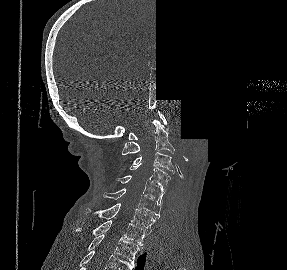
Spine computed tomography. sagittal view. bone-window reconstruction. some of the image was removed or blocked out with constant pixels
Each box is [x1, y1, x2, y2] in pixels: top-left corner, then bottom-right corner.
{"vertebrae":{"C1":[128,110,166,139],"C2":[121,119,174,154],"C3":[132,152,174,173],"C4":[129,163,171,190],"C5":[116,175,164,205],"C6":[103,188,161,218],"C7":[85,203,156,228],"T1":[76,220,145,245],"T2":[87,234,142,263]}}